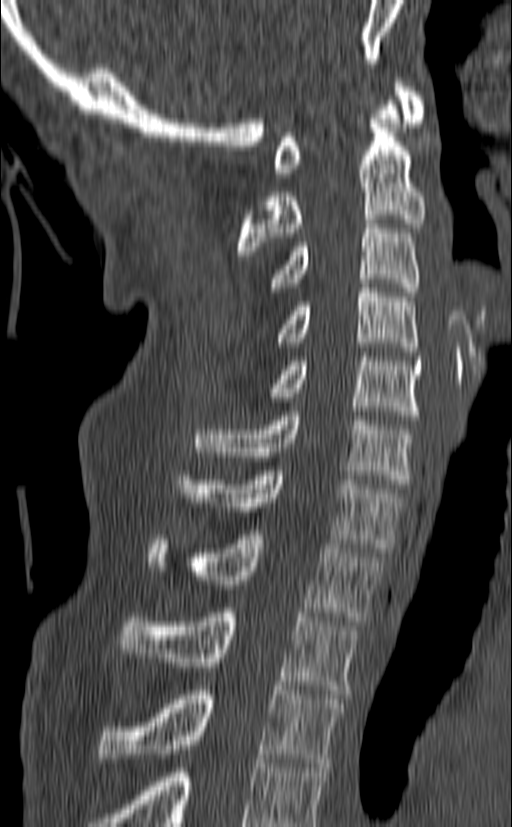 Spine computed tomography · sagittal view · W/L 1800/400 HU · 512x827 px. Boxes: x1:y1:x2:y2 in pixels. This scan's labels start at C1 at the top and end at T3 at the bottom. 10 vertebrae labeled — C1 at 274:78:427:177; C2 at 237:101:425:255; C3 at 270:219:419:296; C4 at 276:283:417:351; C5 at 268:352:421:420; C6 at 195:411:414:488; C7 at 179:466:403:552; T1 at 148:530:381:621; T2 at 119:608:359:694; T3 at 100:686:344:767.